Computed tomography of the spine — sagittal view — 8 vertebrae labeled in this scan
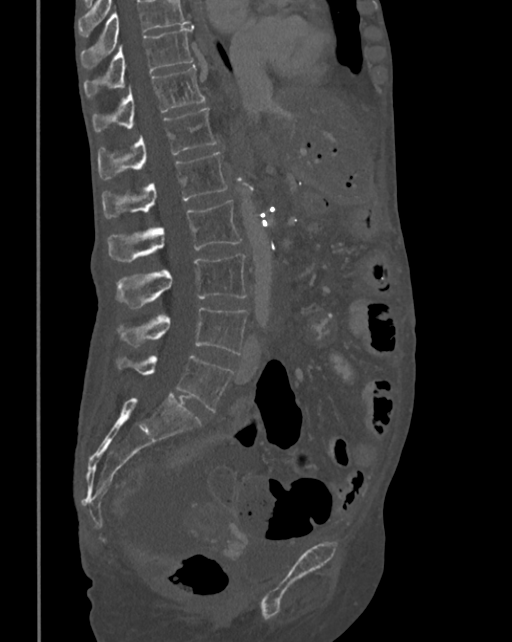

Box edges are left/top/right/bottom in pixels.
Where the top of the scan cuts through a vertebra, that vertebra gets no label or box.
L5: left=117, top=355, right=232, bottom=411
L4: left=117, top=307, right=248, bottom=354
L3: left=115, top=254, right=247, bottom=308
L2: left=108, top=199, right=241, bottom=261
L1: left=102, top=152, right=226, bottom=218
T12: left=97, top=108, right=217, bottom=179
T11: left=93, top=65, right=205, bottom=131
T10: left=84, top=25, right=194, bottom=96